Spine computed tomography. Sagittal slice 229/512. bone-window reconstruction. 8 vertebrae labeled in this scan
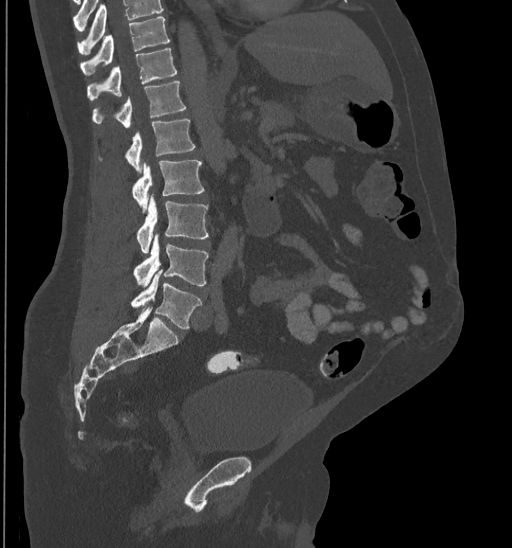 Where the top of the scan cuts through a vertebra, that vertebra gets no label or box.
<vertebrae><v name="T10" x1="79" y1="16" x2="170" y2="76"/><v name="T11" x1="87" y1="48" x2="177" y2="101"/><v name="T12" x1="92" y1="81" x2="186" y2="127"/><v name="L1" x1="98" y1="119" x2="195" y2="172"/><v name="L2" x1="132" y1="159" x2="204" y2="209"/><v name="L3" x1="136" y1="197" x2="208" y2="252"/><v name="L4" x1="133" y1="235" x2="208" y2="287"/><v name="L5" x1="131" y1="271" x2="201" y2="330"/></vertebrae>